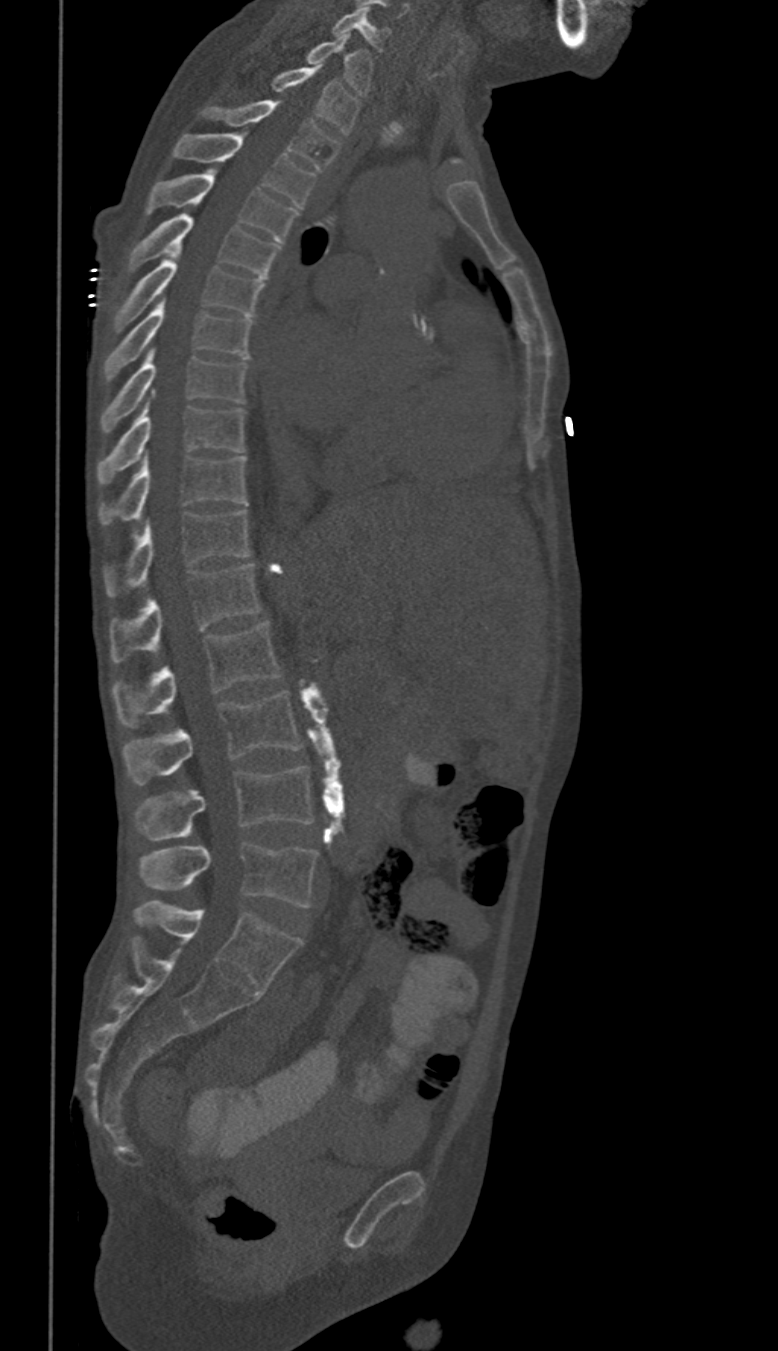

CT, spine. sagittal view
Boxes are (x1, y1, x2, y2) in pixels.
In these labels the thoracic vertebrae end at T11, so L1 follows T11.
C6: (333, 8, 389, 53)
C7: (307, 34, 374, 95)
T1: (270, 65, 361, 135)
T2: (202, 100, 339, 171)
T3: (173, 134, 313, 206)
T4: (146, 169, 297, 242)
T5: (129, 214, 279, 277)
T6: (115, 247, 263, 328)
T7: (105, 298, 253, 379)
T8: (102, 349, 248, 433)
T9: (97, 403, 245, 484)
T10: (100, 454, 248, 524)
T11: (106, 509, 250, 595)
L1: (111, 563, 259, 662)
L2: (112, 620, 282, 726)
L3: (125, 692, 301, 784)
L4: (141, 765, 312, 839)
L5: (140, 843, 318, 906)